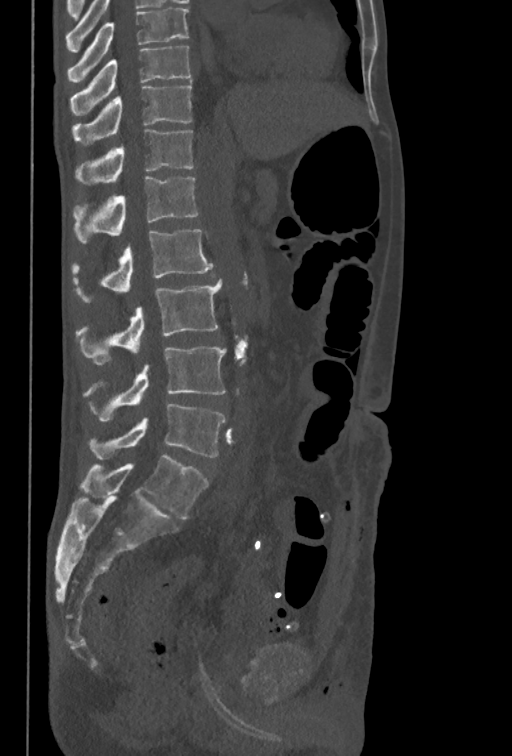 Spine computed tomography. sagittal view
Coordinates as <box>x1,y1,x2,y2</box>. The highest labeled vertebra in this scan is T10; the lowest is L5. The labeled vertebrae in this slice are: T10 at <box>70,46,190,116</box>, T11 at <box>73,84,192,145</box>, T12 at <box>76,129,193,185</box>, L1 at <box>73,176,198,243</box>, L2 at <box>71,229,213,302</box>, L3 at <box>77,279,222,364</box>, L4 at <box>85,346,226,422</box>, L5 at <box>90,403,226,458</box>.